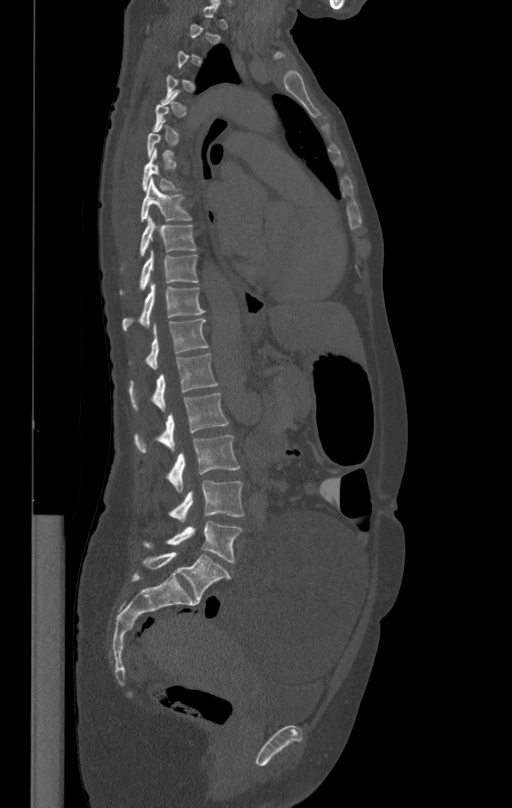 CT · sagittal view
Box edges are left/top/right/bottom in pixels. Each vertebra is boxed only on the slices from the first to the last where its cross-section reaches a third of its largest, so a slice outside that range leaves it unboxed. Vertebrae labeled: T8 at left=141, top=179, right=191, bottom=220, T9 at left=139, top=216, right=196, bottom=256, T10 at left=120, top=249, right=198, bottom=293, T11 at left=122, top=282, right=205, bottom=330, T12 at left=147, top=318, right=208, bottom=369, L1 at left=129, top=353, right=218, bottom=412, L2 at left=134, top=393, right=229, bottom=452, L3 at left=168, top=435, right=240, bottom=492, L4 at left=170, top=480, right=244, bottom=522, L5 at left=144, top=520, right=241, bottom=562.